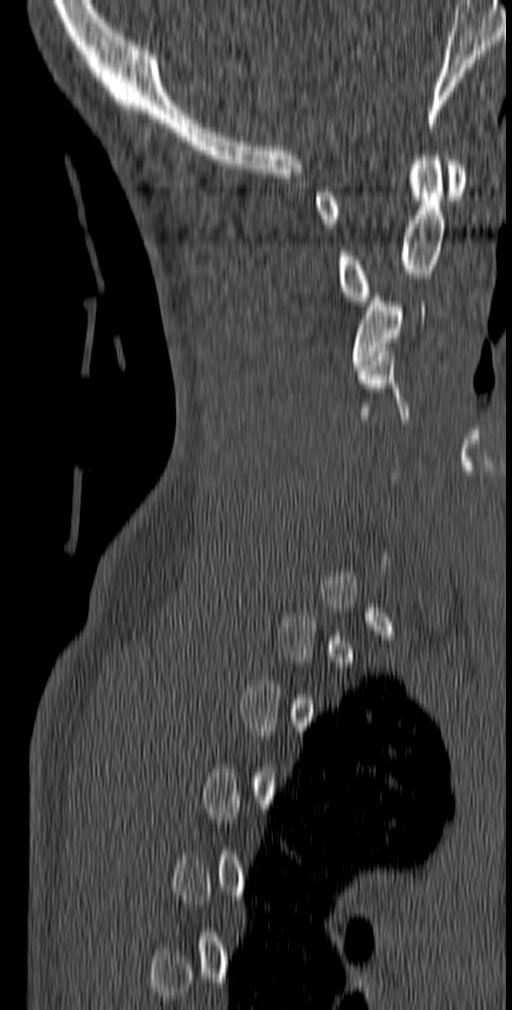
Spine computed tomography — sagittal view — bone window
Box edges are left/top/right/bottom in pixels. A vertebra is boxed only from the first to the last slice where its cross-section is at least a third of its largest; slices outside that range leave it without a box. 3 vertebrae labeled — C1 at left=314, top=160, right=466, bottom=228; C2 at left=337, top=151, right=445, bottom=305; C3 at left=352, top=293, right=425, bottom=369.